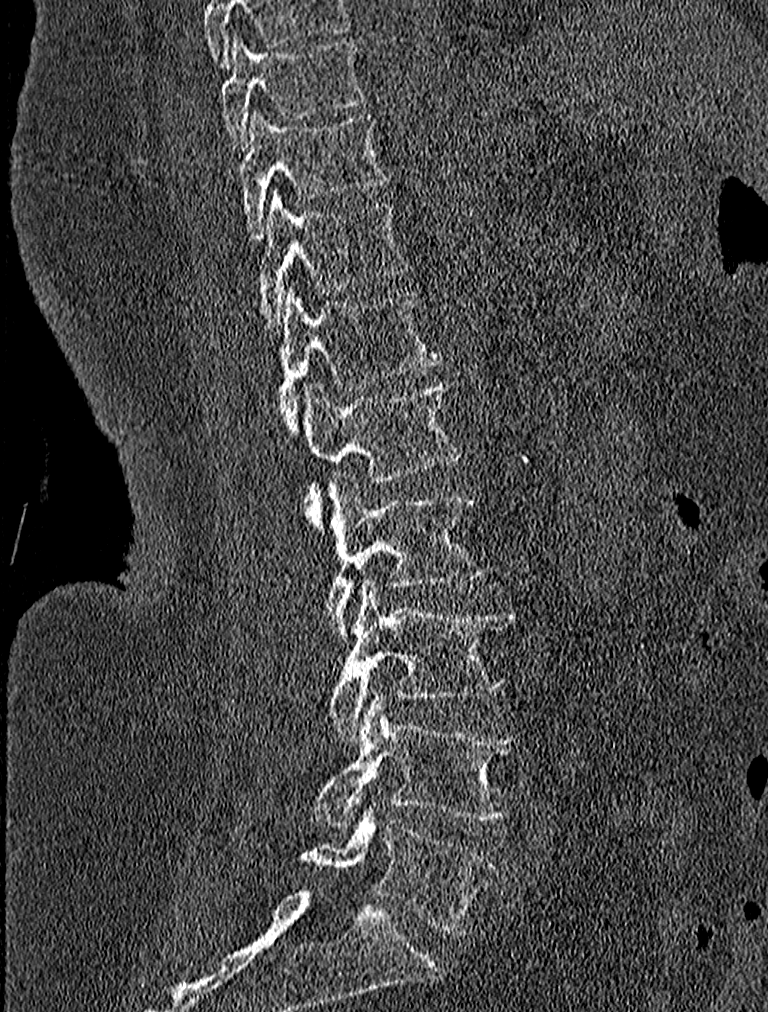 CT — sagittal view
<vertebrae><v name="T9" x1="219" y1="33" x2="363" y2="148"/><v name="T10" x1="239" y1="110" x2="390" y2="237"/><v name="T11" x1="254" y1="187" x2="407" y2="331"/><v name="T12" x1="279" y1="285" x2="441" y2="431"/><v name="L1" x1="303" y1="379" x2="461" y2="526"/><v name="L2" x1="327" y1="473" x2="488" y2="637"/><v name="L3" x1="330" y1="577" x2="512" y2="742"/><v name="L4" x1="313" y1="691" x2="523" y2="826"/><v name="L5" x1="300" y1="801" x2="502" y2="934"/></vertebrae>